CT, spine; sagittal reformat; W/L 1800/400 HU
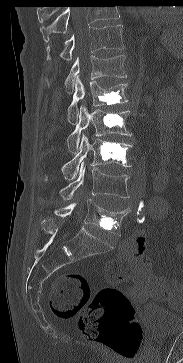

Bounding boxes as [x1, y1, x2, y2] in pixel coordinates.
No box is given to a vertebra that the top edge of the scan cuts off.
T11: [47, 24, 123, 60]
T12: [46, 55, 127, 93]
L1: [67, 75, 128, 124]
L2: [67, 105, 132, 153]
L3: [62, 134, 132, 180]
L4: [58, 162, 129, 199]
L5: [54, 199, 129, 236]